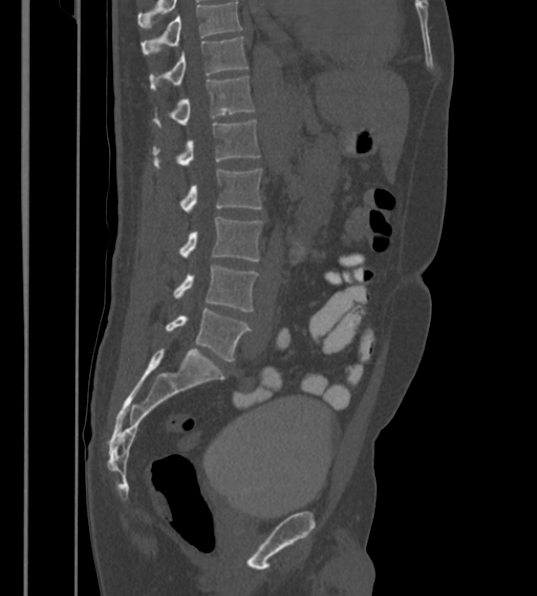

CT. sagittal view. 430 mm across the image. Bone window (WL 400, WW 1800). 537x596 px
Each box given as x1,y1,x2,y2.
This scan's labels start at T12 at the top and end at L6 at the bottom.
The labels name a sixth lumbar vertebra for this spine: L6, after L5.
L6: x1=166, y1=307, x2=250, y2=361
L5: x1=174, y1=265, x2=258, y2=311
L4: x1=180, y1=216, x2=262, y2=261
L3: x1=180, y1=169, x2=261, y2=213
L2: x1=152, y1=120, x2=260, y2=168
L1: x1=154, y1=76, x2=254, y2=126
T12: x1=150, y1=36, x2=248, y2=89